Computed tomography of the spine · sagittal plane, index 82 · the image spans 183 mm across · W/L 1800/400 HU · 183x211 px · 5 vertebrae labeled in this scan
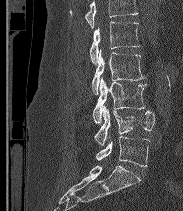
Boxes are given in columns x1, y1, x2, y2, the pixel coordinates of their top-left and bottom-right corners.
Vertebrae that run past the top of the scan are left unlabeled.
In these labels the spine has an L6, a sixth lumbar vertebra below L5.
| vertebra | x1 | y1 | x2 | y2 |
|---|---|---|---|---|
| L2 | 89 | 21 | 140 | 64 |
| L3 | 91 | 49 | 145 | 94 |
| L4 | 92 | 77 | 146 | 123 |
| L5 | 94 | 106 | 154 | 145 |
| L6 | 96 | 136 | 149 | 166 |